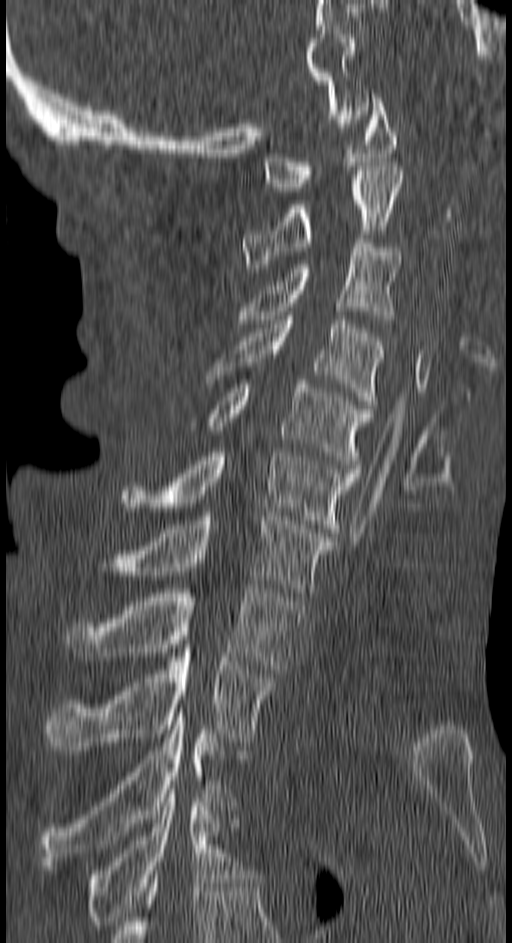
Spine computed tomography. image 150 mm wide. sagittal view
Boxes are (x1, y1, x2, y2) in pixels.
C1: (264, 94, 396, 191)
C2: (243, 166, 403, 272)
C3: (239, 239, 400, 323)
C4: (206, 316, 383, 404)
C5: (206, 380, 372, 468)
C6: (121, 452, 359, 537)
C7: (100, 512, 335, 596)
T1: (66, 585, 302, 673)
T2: (46, 649, 275, 750)
T3: (42, 708, 229, 865)
T4: (87, 789, 249, 929)